CT · Sagittal slice 193/512 · bone-window reconstruction · the image is 140 mm wide
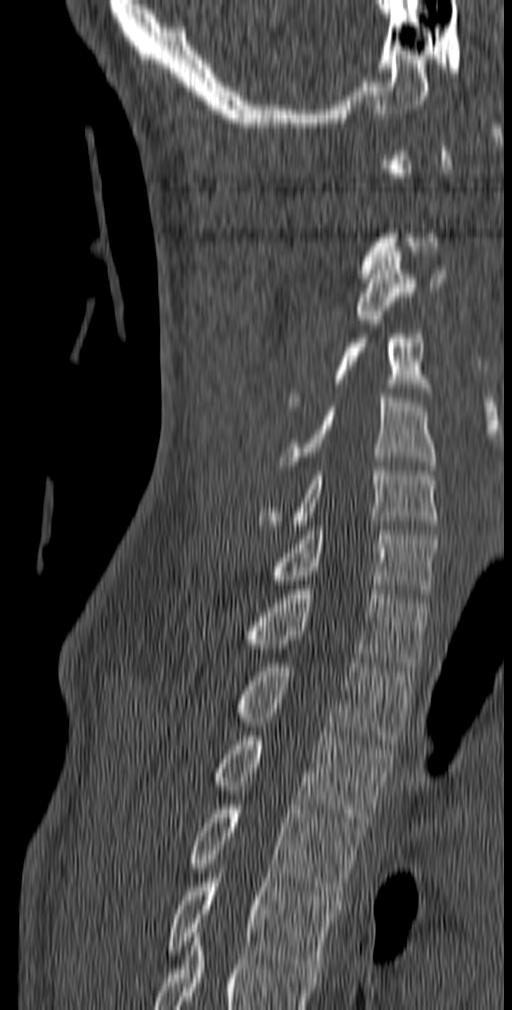
Box edges are left/top/right/bottom in pixels.
Not every vertebra on this slice has a box: a vertebra is boxed only from the first to the last slice where its cross-section is at least a third of its largest, and this slice is outside that range for at least one of them.
Vertebra bounding boxes:
- T5: left=166, top=864, right=337, bottom=973
- T4: left=188, top=805, right=364, bottom=900
- T3: left=213, top=731, right=392, bottom=826
- T2: left=235, top=658, right=412, bottom=744
- T1: left=244, top=585, right=427, bottom=671
- C7: left=271, top=526, right=438, bottom=598
- C6: left=257, top=466, right=439, bottom=529
- C5: left=279, top=393, right=436, bottom=470
- C4: left=288, top=306, right=433, bottom=406
- C3: left=356, top=247, right=445, bottom=324